Computed tomography of the spine. sagittal view. 461 mm across the image
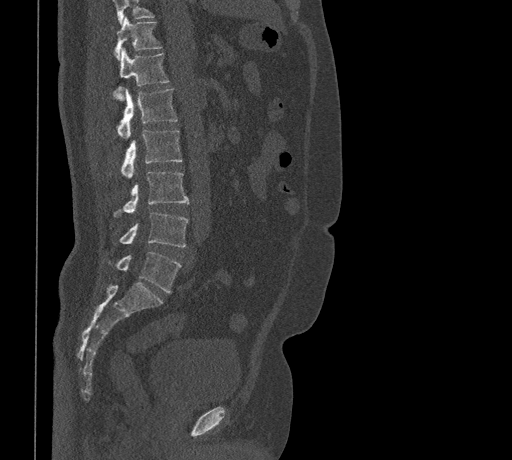 Each box given as x1,y1,x2,y2. Where the top of the scan cuts through a vertebra, that vertebra gets no label or box. Vertebrae labeled: T11 at x1=114, y1=17, x2=162, y2=59, T12 at x1=113, y1=48, x2=170, y2=100, L1 at x1=118, y1=89, x2=177, y2=138, L2 at x1=109, y1=130, x2=182, y2=177, L3 at x1=113, y1=171, x2=189, y2=217, L4 at x1=113, y1=212, x2=188, y2=247, L5 at x1=109, y1=252, x2=181, y2=292.